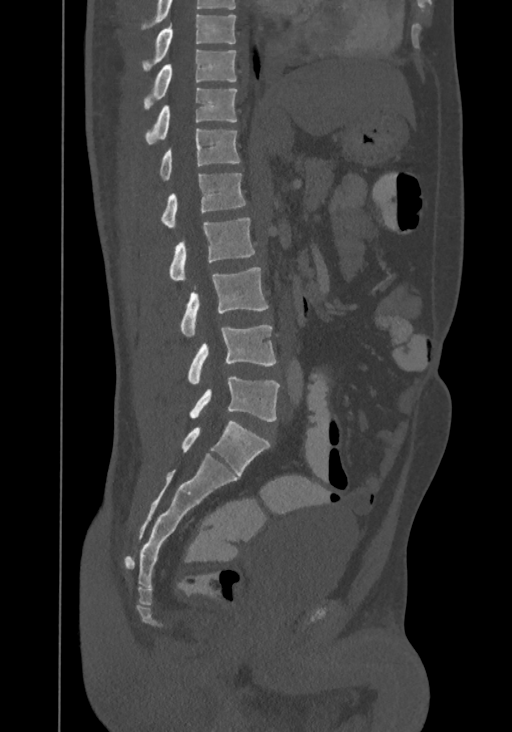

CT. sagittal view. W/L 1800/400 HU
Boxes: x1:y1:x2:y2 in pixels. This scan's labels start at T8 at the top and end at L4 at the bottom. Vertebrae labeled: T8 at 142:14:236:72, T9 at 143:49:236:109, T10 at 145:88:237:143, T11 at 160:128:240:180, T12 at 162:173:246:228, L1 at 170:217:254:280, L2 at 180:267:268:337, L3 at 188:325:276:383, L4 at 190:377:279:421.